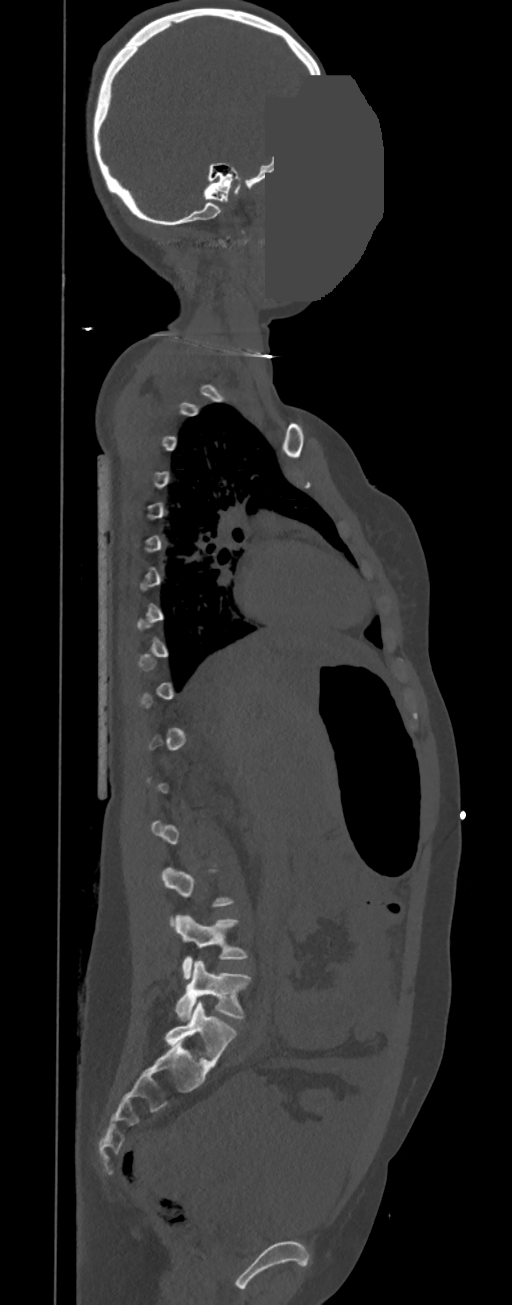
CT, spine — sagittal view — W/L 1800/400 HU — 512x1305 px — an area of the scan was removed and filled with constant pixels
Box edges are left/top/right/bottom in pixels.
Not every vertebra on this slice has a box: a vertebra is boxed only from the first to the last slice where its cross-section is at least a third of its largest, and this slice is outside that range for at least one of them.
| vertebra | x1 | y1 | x2 | y2 |
|---|---|---|---|---|
| L5 | 175 | 961 | 250 | 1019 |
| L4 | 175 | 914 | 246 | 979 |